CT, spine · sagittal view · image 140 mm wide · scan covers 10 annotated vertebrae · an area of the scan was removed and filled with constant pixels
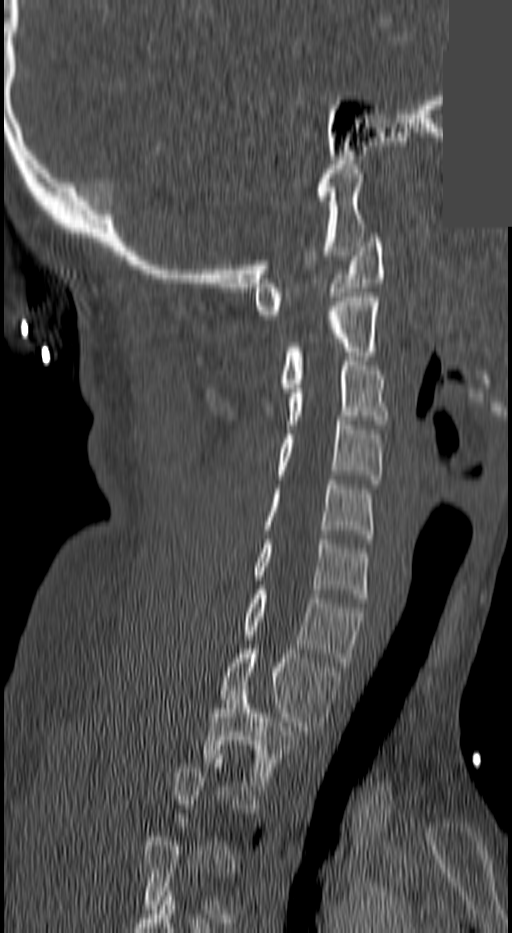
Each box given as x1,y1,x2,y2. Each vertebra is boxed only on the slices from the first to the last where its cross-section reaches a third of its largest, so a slice outside that range leaves it unboxed. Vertebrae labeled: T2 at x1=206, y1=690, x2=296, y2=785, T1 at x1=221, y1=649, x2=337, y2=735, C7 at x1=246, y1=590, x2=362, y2=666, C6 at x1=254, y1=539, x2=366, y2=602, C5 at x1=265, y1=480, x2=373, y2=538, C4 at x1=279, y1=416, x2=381, y2=484, C3 at x1=284, y1=361, x2=388, y2=429, C2 at x1=279, y1=297, x2=377, y2=392, C1 at x1=254, y1=238, x2=384, y2=319.